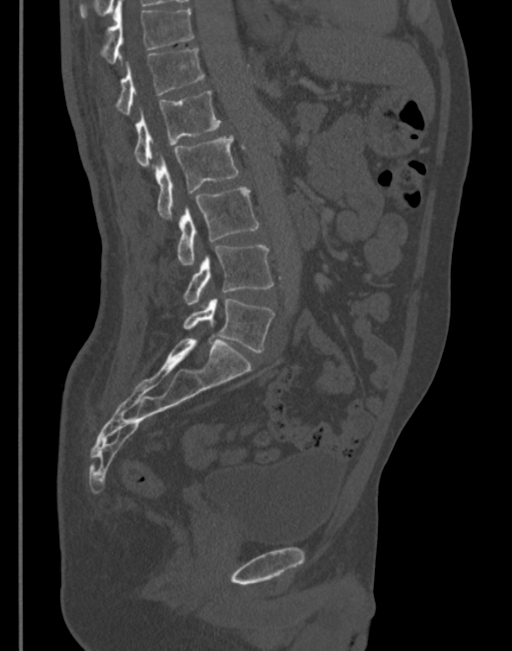 CT — sagittal view — 345 mm across the image
Boxes: x1 y1 x2 y2 (pixel coords, space-separated). 7 vertebrae labeled — T11 at 99 2 193 63; T12 at 114 49 204 114; L1 at 133 90 221 166; L2 at 156 135 238 220; L3 at 176 188 258 265; L4 at 182 245 273 304; L5 at 184 299 275 352.